CT, spine — sagittal plane, index 42 — bone-window reconstruction — 191x489 px — 191 mm wide
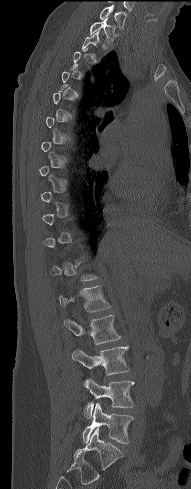
Bounding boxes as [x1, y1, x2, y2] in pixel coordinates.
Not every vertebra on this slice has a box: a vertebra is boxed only from the first to the last slice where its cross-section is at least a third of its largest, and this slice is outside that range for at least one of them.
Vertebra bounding boxes:
- L5: [82, 403, 134, 444]
- L4: [83, 377, 134, 419]
- L3: [71, 346, 129, 374]
- L2: [63, 315, 121, 344]
- L1: [58, 284, 111, 312]
- T2: [81, 31, 103, 58]
- T1: [90, 17, 118, 44]
- C7: [99, 5, 126, 29]